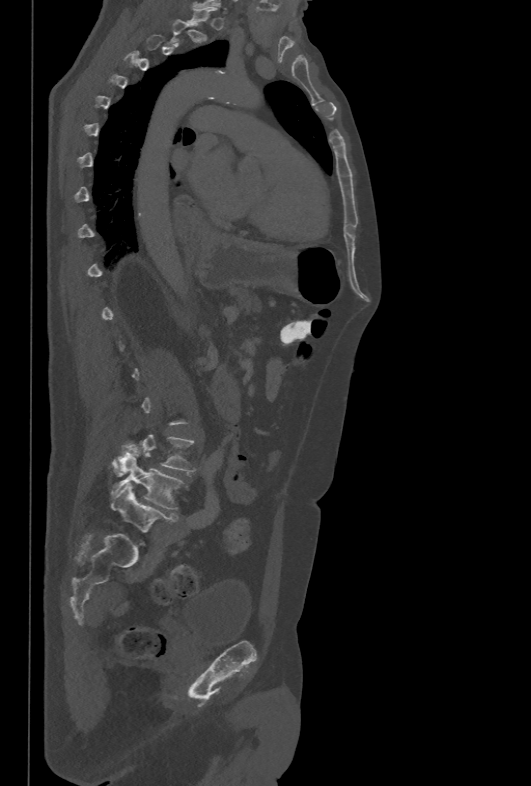 CT spine; sagittal view; bone window

Boxes are (x1, y1, x2, y2) in pixels.
A vertebra is boxed only from the first to the last slice where its cross-section is at least a third of its largest; slices outside that range leave it without a box.
L4: (112, 434, 196, 476)
L5: (111, 453, 182, 509)